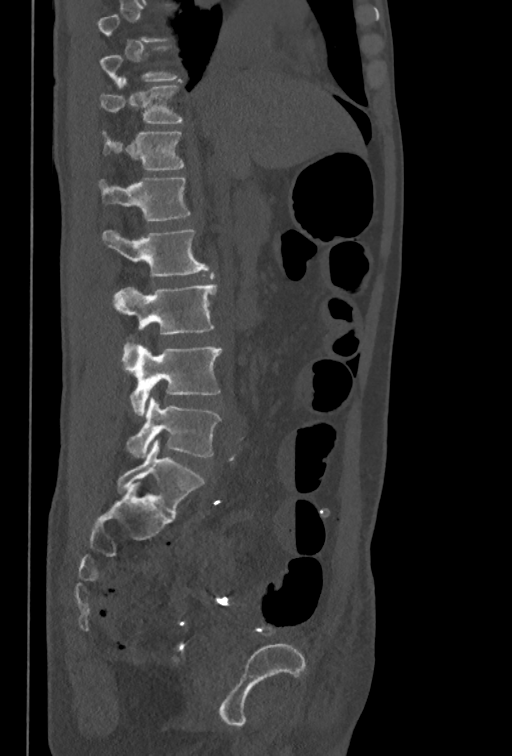
CT. sagittal reformat. W/L 1800/400 HU. 512x756 px
A vertebra is boxed only from the first to the last slice where its cross-section is at least a third of its largest; slices outside that range leave it without a box.
<vertebrae><v name="T11" x1="101" y1="78" x2="182" y2="123"/><v name="T12" x1="102" y1="130" x2="185" y2="170"/><v name="L1" x1="98" y1="178" x2="190" y2="222"/><v name="L2" x1="102" y1="229" x2="208" y2="277"/><v name="L3" x1="112" y1="284" x2="217" y2="333"/><v name="L4" x1="121" y1="342" x2="221" y2="415"/><v name="L5" x1="126" y1="398" x2="220" y2="457"/></vertebrae>